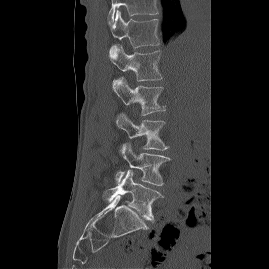 CT — sagittal view — 269x269 px
Each box is [x1, y1, x2, y2] in pixels: top-left corner, then bottom-right corner.
This scan's labels start at T12 at the top and end at L5 at the bottom.
{"vertebrae":{"T12":[110,10,159,54],"L1":[109,45,162,81],"L2":[112,77,165,115],"L3":[116,113,168,150],"L4":[115,143,170,185],"L5":[103,170,163,221]}}